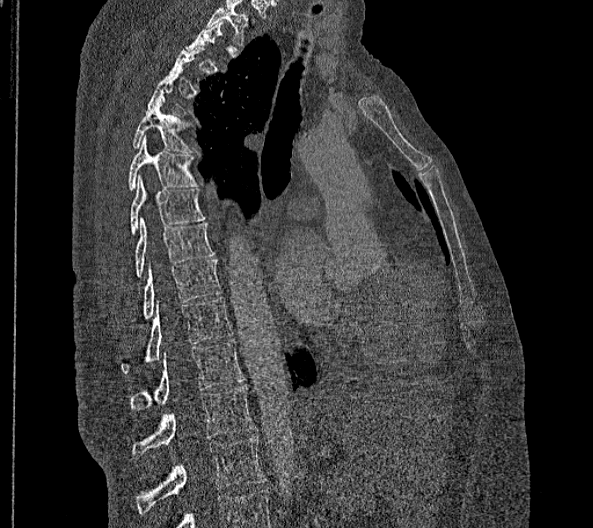

CT, spine; sagittal reformat; W/L 1800/400 HU; 356 mm across the image; 593x528 px
A vertebra is boxed only from the first to the last slice where its cross-section is at least a third of its largest; slices outside that range leave it without a box.
These labels give this spine no T12: after T11 the next vertebra is L1.
<vertebrae><v name="T5" x1="132" y1="98" x2="194" y2="152"/><v name="T6" x1="129" y1="135" x2="197" y2="190"/><v name="T7" x1="130" y1="174" x2="205" y2="234"/><v name="T8" x1="134" y1="217" x2="213" y2="277"/><v name="T9" x1="141" y1="259" x2="221" y2="319"/><v name="T10" x1="121" y1="297" x2="234" y2="374"/><v name="T11" x1="131" y1="340" x2="244" y2="409"/><v name="L1" x1="131" y1="385" x2="255" y2="459"/><v name="L2" x1="137" y1="437" x2="266" y2="514"/></vertebrae>